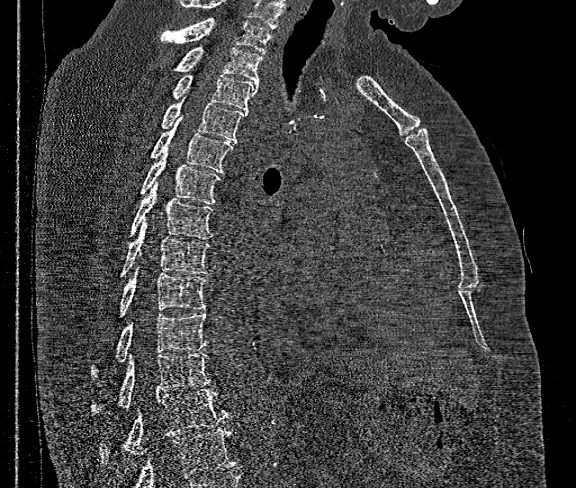

Spine computed tomography · sagittal view · bone window
Boxes are (x1, y1, x2, y2) in pixels.
Where the bottom of the scan cuts through a vertebra, that vertebra gets no label or box.
In this scan, the topmost labeled vertebra is T1 and the lowest is T12.
T12: (99, 389, 231, 467)
T11: (91, 354, 212, 414)
T10: (91, 312, 207, 377)
T9: (119, 268, 207, 316)
T8: (121, 219, 210, 276)
T7: (129, 184, 213, 238)
T6: (141, 149, 221, 204)
T5: (150, 116, 234, 172)
T4: (161, 95, 246, 142)
T3: (172, 74, 258, 111)
T2: (174, 47, 262, 83)
T1: (160, 18, 272, 54)